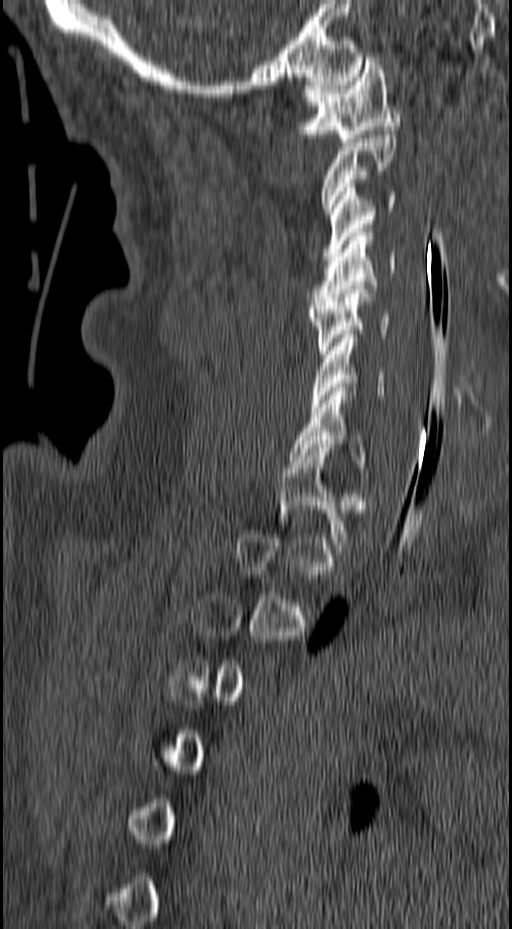 CT spine — image width 157 mm — sagittal view — bone window — 512x929 px

Box edges are left/top/right/bottom in pixels.
A vertebra gets a box only on the slices from the first to the last where its cross-section is at least a third of its largest; on a slice outside that range it gets none.
T1: left=278, top=448, right=349, bottom=545
C7: left=288, top=387, right=369, bottom=476
C6: left=311, top=334, right=385, bottom=407
C5: left=309, top=285, right=391, bottom=354
C4: left=309, top=232, right=395, bottom=305
C3: left=322, top=183, right=395, bottom=260
C2: left=321, top=130, right=396, bottom=215
C1: left=297, top=57, right=399, bottom=142